CT, spine. sagittal reformat. bone-window reconstruction. scan covers 17 annotated vertebrae
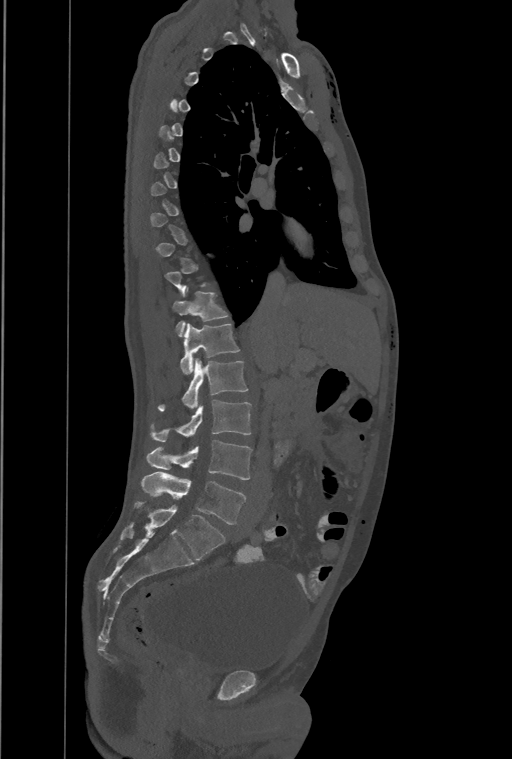

Each vertebra maps to its box as [x1, y1, x2, y2], the pixel coordinates of its top-left and bottom-right corners.
A vertebra gets a box only on the slices from the first to the last where its cross-section is at least a third of its largest; on a slice outside that range it gets none.
In this scan, the topmost labeled vertebra is T1 and the lowest is L4.
These labels give the spine a thirteenth thoracic vertebra: T13 sits between T12 and L1.
{"vertebrae":{"T12":[173,288,226,336],"T13":[181,324,238,374],"L1":[158,358,247,411],"L2":[152,400,251,441],"L3":[147,440,252,479],"L4":[142,471,245,524]}}